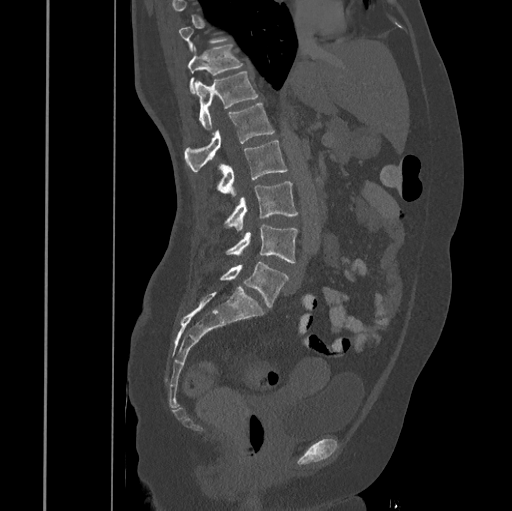

Spine CT. sagittal reformat. Bone window (WL 400, WW 1800). 512x511 px
Not every vertebra on this slice has a box: a vertebra is boxed only from the first to the last slice where its cross-section is at least a third of its largest, and this slice is outside that range for at least one of them.
<vertebrae><v name="T11" x1="187" y1="45" x2="243" y2="92"/><v name="T12" x1="195" y1="71" x2="258" y2="128"/><v name="L1" x1="184" y1="104" x2="274" y2="171"/><v name="L2" x1="216" y1="140" x2="287" y2="196"/><v name="L3" x1="224" y1="181" x2="298" y2="230"/><v name="L4" x1="225" y1="224" x2="297" y2="262"/><v name="L5" x1="220" y1="262" x2="288" y2="308"/></vertebrae>